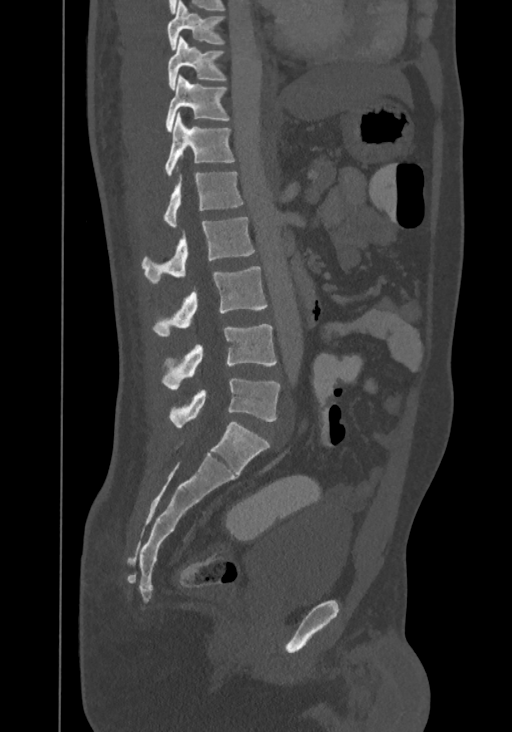
Spine computed tomography. sagittal view. the image is 367 mm wide. bone-window reconstruction. 512x732 px. Each box given as x1,y1,x2,y2. This scan's labels start at T8 at the top and end at L4 at the bottom. 9 vertebrae labeled — L4 at x1=169, y1=378, x2=281, y2=427; L3 at x1=162, y1=324, x2=276, y2=389; L2 at x1=153, y1=266, x2=267, y2=337; L1 at x1=142, y1=217, x2=254, y2=283; T12 at x1=163, y1=171, x2=243, y2=228; T11 at x1=164, y1=113, x2=235, y2=176; T10 at x1=166, y1=75, x2=229, y2=131; T9 at x1=167, y1=36, x2=226, y2=89; T8 at x1=167, y1=0, x2=225, y2=50.